CT, spine · sagittal reformat · 171 mm wide · W/L 1800/400 HU
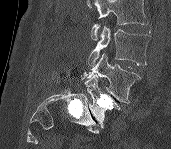 Vertebrae that run past the top of the scan are left unlabeled.
<vertebrae><v name="L3" x1="88" y1="25" x2="150" y2="66"/><v name="L4" x1="79" y1="53" x2="140" y2="103"/><v name="L5" x1="84" y1="75" x2="120" y2="128"/></vertebrae>